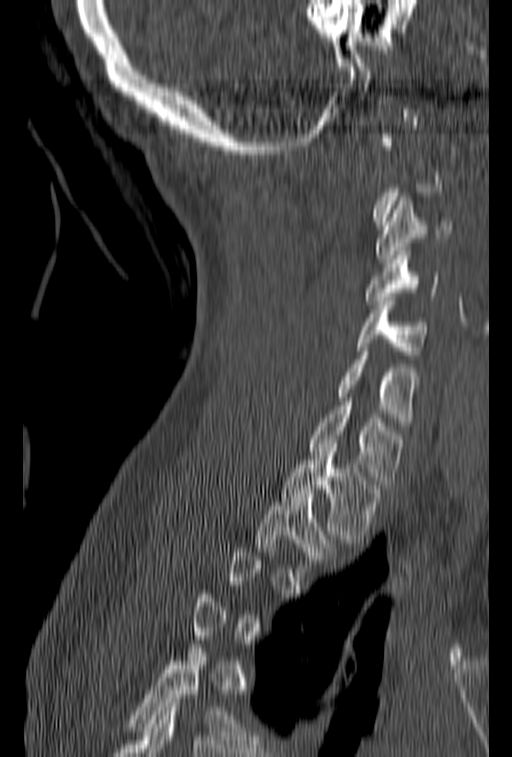

CT; sagittal view; 512x757 px. Each row gives a vertebra's box as x1, y1, x2, y2 in pixels: top-left corner, then bottom-right corner.
Each vertebra is boxed only on the slices from the first to the last where its cross-section reaches a third of its largest, so a slice outside that range leaves it unboxed.
| vertebra | x1 | y1 | x2 | y2 |
|---|---|---|---|---|
| C3 | 375 | 197 | 452 | 263 |
| C4 | 366 | 247 | 439 | 304 |
| C5 | 356 | 297 | 429 | 359 |
| C6 | 336 | 347 | 419 | 426 |
| C7 | 309 | 397 | 405 | 484 |
| T1 | 281 | 452 | 382 | 543 |
| T2 | 255 | 489 | 341 | 576 |